CT; sagittal plane, index 274; 374 mm image width; Bone window (WL 400, WW 1800)
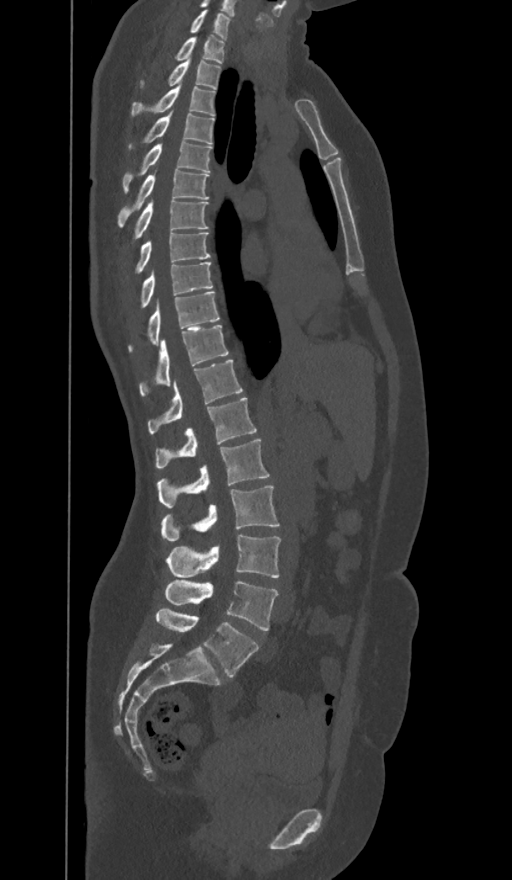

Boxes: x1:y1:x2:y2 in pixels.
The labels name a sixth lumbar vertebra for this spine: L6, after L5.
L6: 156:607:258:677
L5: 165:580:277:630
L4: 167:535:281:578
L3: 161:485:279:541
L2: 157:439:269:508
L1: 156:398:256:468
T12: 148:360:242:434
T11: 139:325:227:396
T10: 128:291:219:350
T9: 141:262:212:307
T8: 137:233:210:273
T7: 135:200:207:238
T6: 118:169:208:226
T5: 123:140:211:191
T4: 128:112:214:148
T3: 131:85:214:115
T2: 141:58:221:88
T1: 175:36:223:63
C7: 190:9:229:38